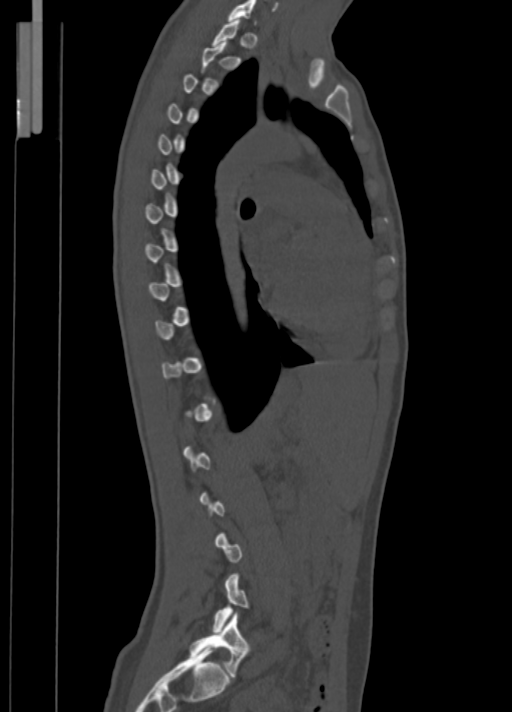 CT · sagittal view · 512x712 px · the image spans 350 mm across. Coordinates as <box>x1,y1,x2,y2</box>. Each vertebra is boxed only on the slices from the first to the last where its cross-section reaches a third of its largest, so a slice outside that range leaves it unboxed. 2 vertebrae labeled — C7 at <box>228,0,256,24</box>; L5 at <box>190,613,249,676</box>.